Spine CT; 123 mm wide; sagittal view; 123x242 px
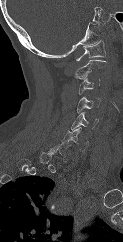 Not every vertebra on this slice has a box: a vertebra is boxed only from the first to the last slice where its cross-section is at least a third of its largest, and this slice is outside that range for at least one of them.
<vertebrae><v name="C1" x1="76" y1="40" x2="106" y2="61"/><v name="C2" x1="73" y1="60" x2="106" y2="79"/><v name="C3" x1="77" y1="78" x2="100" y2="94"/><v name="C4" x1="77" y1="96" x2="100" y2="113"/><v name="C5" x1="71" y1="112" x2="98" y2="130"/><v name="C6" x1="62" y1="127" x2="88" y2="151"/><v name="C7" x1="50" y1="142" x2="71" y2="161"/></vertebrae>